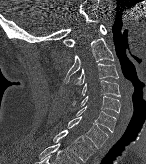

Spine CT — sagittal view
Each row gives a vertebra's box as x1, y1, x2, y2 in pixels: top-left corner, then bottom-right corner.
| vertebra | x1 | y1 | x2 | y2 |
|---|---|---|---|---|
| T1 | 53 | 130 | 93 | 162 |
| C7 | 67 | 116 | 108 | 148 |
| C6 | 76 | 106 | 116 | 132 |
| C5 | 71 | 95 | 120 | 113 |
| C4 | 81 | 80 | 120 | 96 |
| C3 | 74 | 63 | 118 | 84 |
| C2 | 63 | 37 | 114 | 83 |
| C1 | 63 | 24 | 107 | 46 |